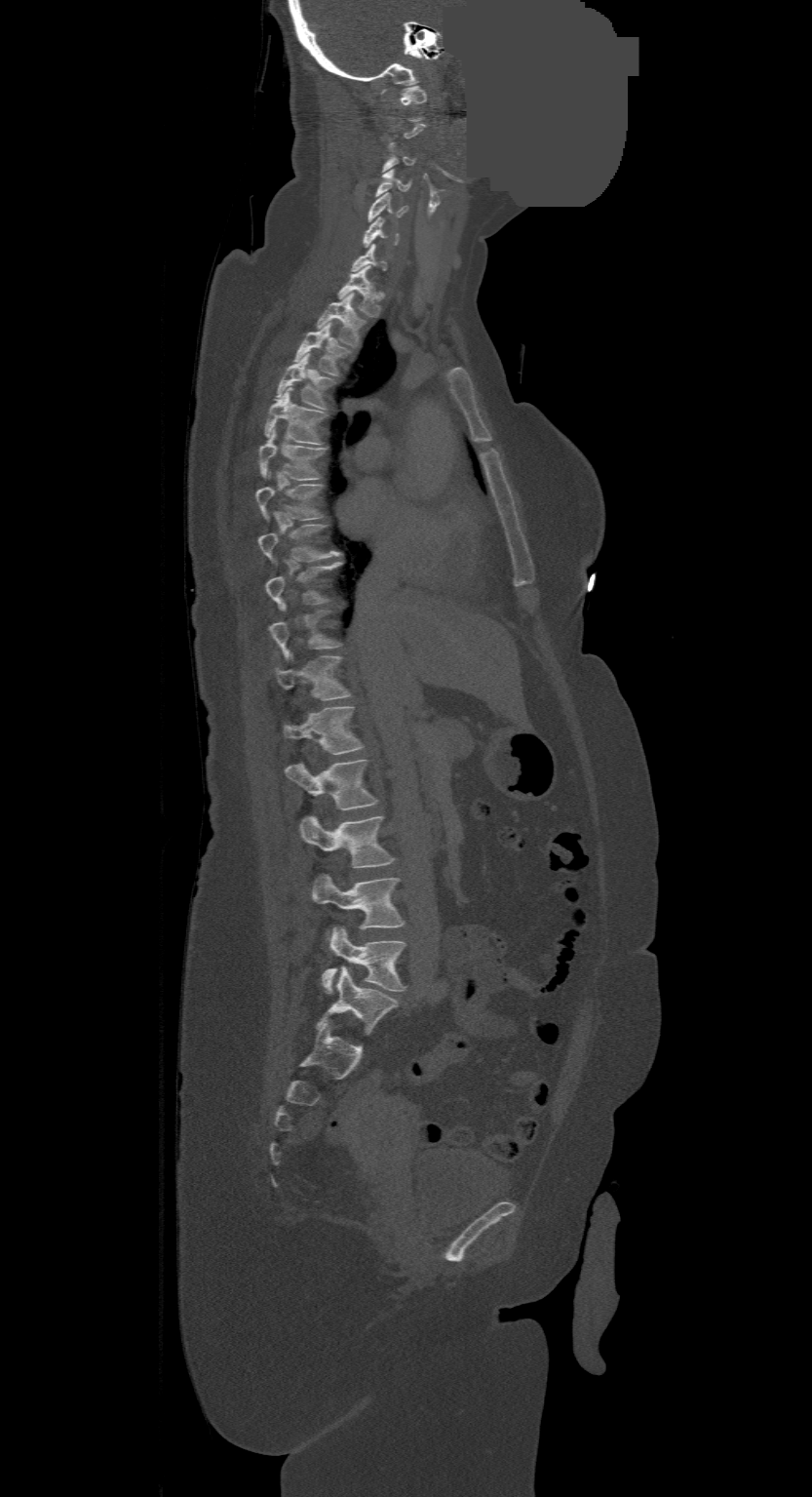
CT, spine. sagittal view. Bone window (WL 400, WW 1800). a uniform gray block covers part of the image
Boxes below are [x1, y1, x2, y2] in pixels.
A vertebra is boxed only from the first to the last slice where its cross-section is at least a third of its largest; slices outside that range leave it without a box.
In this scan, the topmost labeled vertebra is C1 and the lowest is L4.
{"vertebrae":{"C1":[400,87,426,120],"C3":[382,143,414,172],"C4":[376,170,410,196],"C5":[367,192,406,222],"C6":[362,217,399,247],"T1":[338,267,381,316],"T2":[318,293,364,347],"T3":[293,324,350,376],"T4":[275,355,333,409],"T5":[265,387,328,445],"T6":[258,433,326,481],"T7":[255,473,325,520],"T8":[258,524,342,562],"T9":[266,561,342,611],"T10":[270,610,342,659],"T11":[276,655,350,700],"T12":[283,706,363,754],"L1":[286,760,378,808],"L2":[300,814,394,867],"L3":[313,875,404,932],"L4":[322,926,406,993]}}